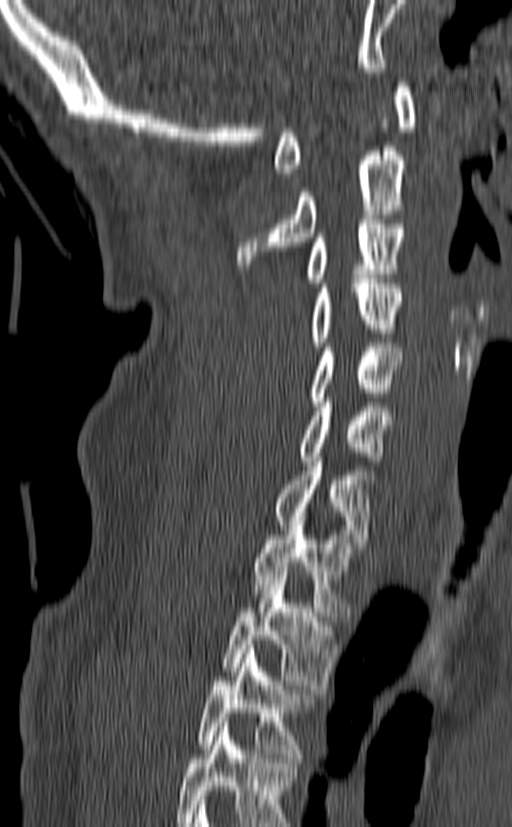

Spine CT. sagittal view. Bone window (WL 400, WW 1800)
Each box is [x1, y1, x2, y2] in pixels: top-left corner, then bottom-right corner.
Labels in this scan begin with C1 at the top and end with T3 at the bottom.
{"vertebrae":{"C1":[274,82,416,177],"C2":[236,146,406,269],"C3":[309,219,403,287],"C4":[312,279,401,346],"C5":[309,343,403,406],"C6":[299,398,392,461],"C7":[276,457,374,548],"T1":[254,521,358,616],"T2":[222,571,337,689],"T3":[198,645,314,762]}}